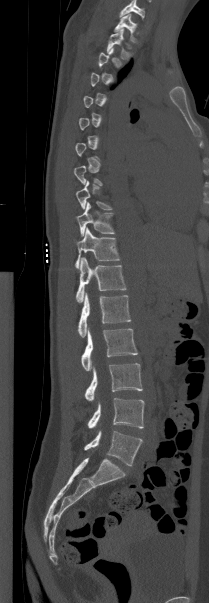

Spine CT — sagittal reformat — 209x603 px
Not every vertebra on this slice has a box: a vertebra is boxed only from the first to the last slice where its cross-section is at least a third of its largest, and this slice is outside that range for at least one of them.
The highest labeled vertebra in this scan is T1; the lowest is L5.
<vertebrae><v name="L5" x1="84" y1="431" x2="142" y2="466"/><v name="L4" x1="87" y1="398" x2="144" y2="428"/><v name="L3" x1="85" y1="363" x2="142" y2="401"/><v name="L2" x1="81" y1="328" x2="137" y2="371"/><v name="L1" x1="78" y1="292" x2="130" y2="337"/><v name="T12" x1="76" y1="257" x2="126" y2="302"/><v name="T11" x1="75" y1="227" x2="120" y2="268"/><v name="T10" x1="76" y1="202" x2="114" y2="236"/><v name="T9" x1="76" y1="181" x2="112" y2="210"/><v name="T2" x1="106" y1="29" x2="128" y2="59"/><v name="T1" x1="114" y1="14" x2="138" y2="42"/></vertebrae>